Computed tomography of the spine; Sagittal slice 219/512; bone-window reconstruction; 512x793 px; image 350 mm wide
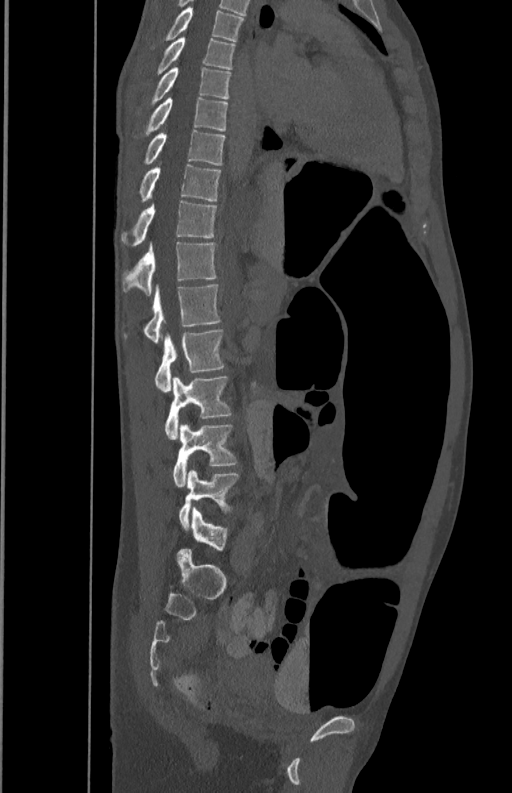

Bounding boxes as [x1, y1, x2, y2] in pixel coordinates. Vertebrae labeled: T5 at [165, 5, 243, 41], T6 at [156, 37, 236, 73], T7 at [150, 67, 231, 103], T8 at [142, 97, 228, 135], T9 at [144, 130, 226, 164], T10 at [139, 163, 221, 200], T11 at [121, 196, 217, 244], T12 at [121, 241, 217, 294], L1 at [123, 283, 221, 343], L2 at [155, 329, 226, 393], L3 at [165, 375, 231, 439], L4 at [172, 424, 237, 487], L5 at [178, 469, 239, 528].